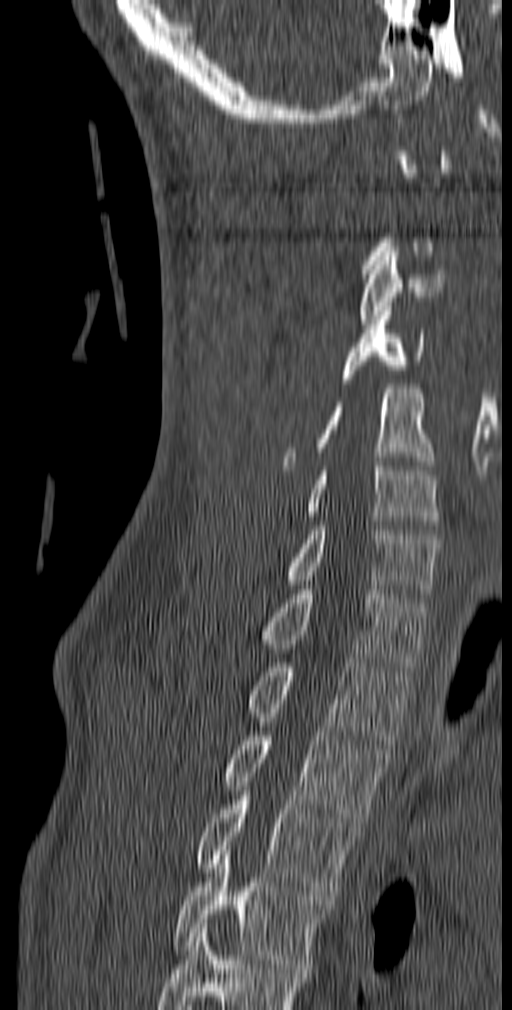
Spine CT; sagittal view; W/L 1800/400 HU

Boxes: x1:y1:x2:y2 in pixels.
A vertebra gets a box only on the slices from the first to the last where its cross-section is at least a third of its largest; on a slice outside that range it gets none.
This scan's labels start at C1 at the top and end at T5 at the bottom.
Vertebra bounding boxes:
- C3: 359:247:444:324
- C4: 341:306:424:383
- C5: 282:384:436:470
- C6: 305:462:439:529
- C7: 283:521:438:598
- T1: 261:585:427:671
- T2: 246:658:412:744
- T3: 221:727:389:826
- T4: 195:791:360:900
- T5: 173:846:329:968